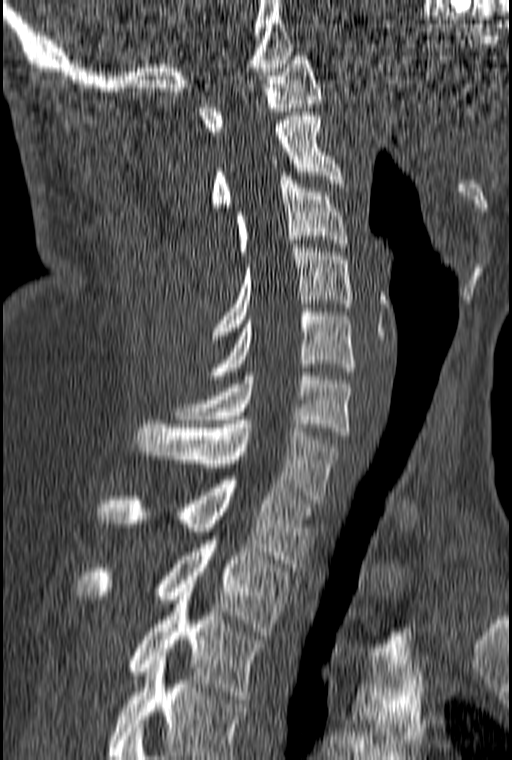

CT. image width 160 mm. sagittal view. bone window
Box edges are left/top/right/bottom in pixels.
This scan's labels start at C1 at the top and end at T3 at the bottom.
Vertebra bounding boxes:
- T3: left=129, top=584, right=266, bottom=699
- T2: left=78, top=528, right=291, bottom=635
- T1: left=97, top=476, right=312, bottom=571
- C7: left=136, top=420, right=339, bottom=503
- C6: left=175, top=372, right=352, bottom=435
- C5: left=206, top=308, right=355, bottom=379
- C4: left=212, top=244, right=352, bottom=339
- C3: left=235, top=172, right=347, bottom=255
- C2: left=211, top=112, right=343, bottom=207
- C1: left=198, top=52, right=322, bottom=135